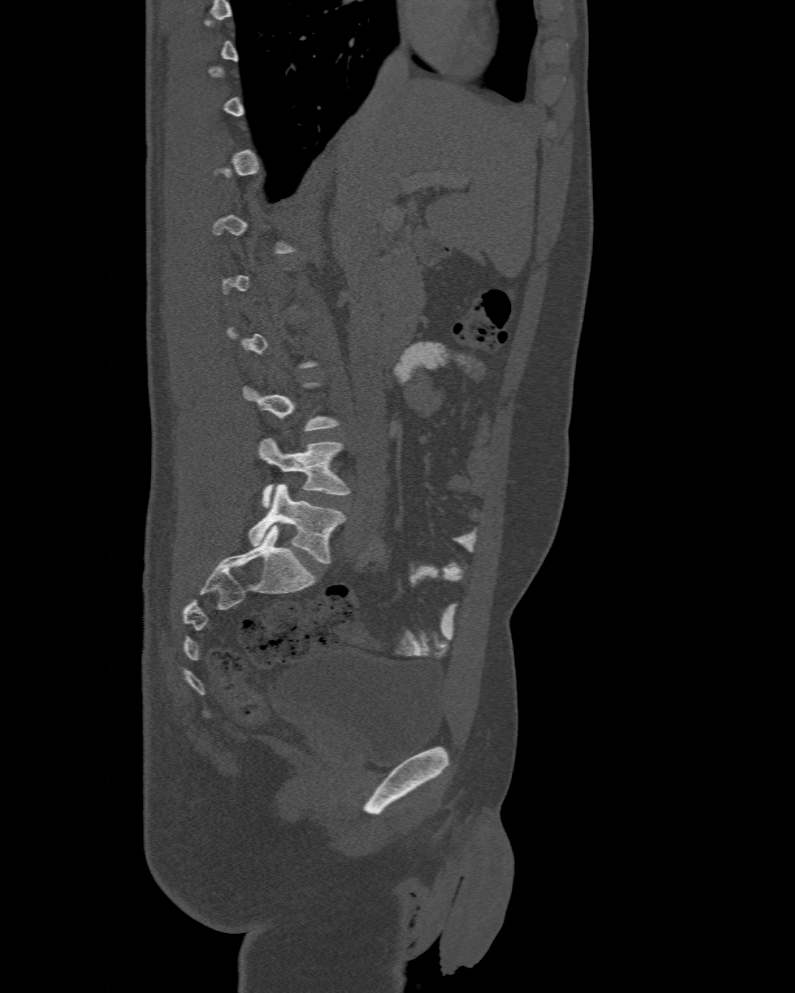

CT spine; sagittal reformat; 477 mm wide

Each vertebra is boxed only on the slices from the first to the last where its cross-section reaches a third of its largest, so a slice outside that range leaves it unboxed.
The labels name a sixth lumbar vertebra for this spine: L6, after L5.
<vertebrae><v name="L5" x1="258" y1="438" x2="348" y2="507"/><v name="L6" x1="248" y1="483" x2="345" y2="562"/></vertebrae>